CT spine — sagittal view — Bone window (WL 400, WW 1800)
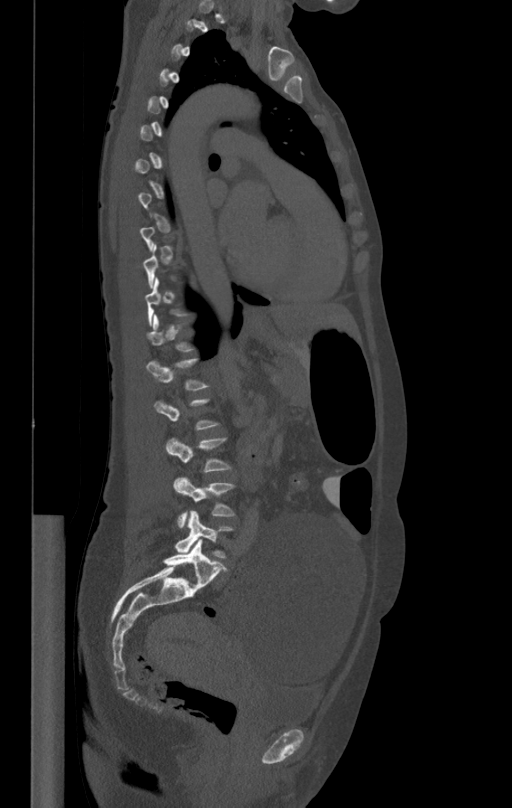 Columns x1, y1, x2, y2 give each box's top-left and bottom-right pixels.
A vertebra is boxed only from the first to the last slice where its cross-section is at least a third of its largest; slices outside that range leave it without a box.
| vertebra | x1 | y1 | x2 | y2 |
|---|---|---|---|---|
| L1 | 147 | 358 | 209 | 390 |
| L3 | 166 | 437 | 231 | 472 |
| L4 | 174 | 476 | 235 | 528 |
| L5 | 175 | 510 | 233 | 558 |